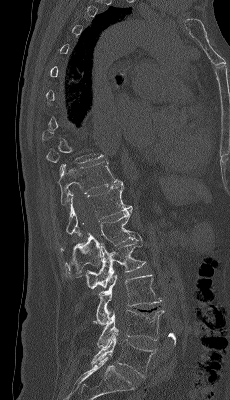 CT, spine. the image is 230 mm wide. sagittal view
Box values are [left, top, right, bottom] in pixels.
A vertebra gets a box only on the slices from the first to the last where its cross-section is at least a third of its largest; on a slice outside that range it gets none.
{"vertebrae":{"T11":[58,162,122,207],"T12":[66,183,132,238],"L1":[61,210,135,276],"L2":[80,233,146,289],"L3":[93,274,162,325],"L4":[97,310,164,347],"L5":[91,330,156,377]}}